CT spine · sagittal view · 390 mm across the image · part of the image is a flat gray fill, not anatomy
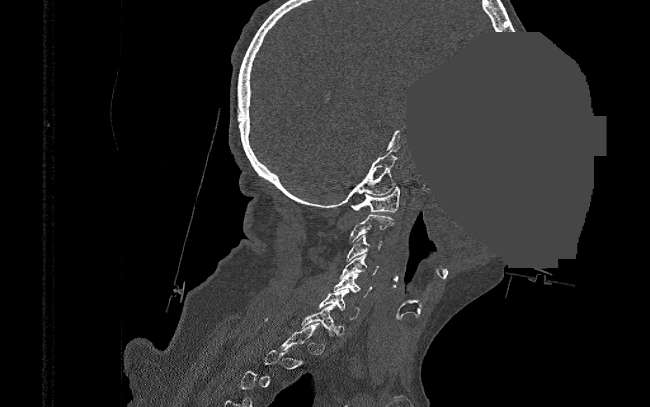 Box edges are left/top/right/bottom in pixels. Each vertebra is boxed only on the slices from the first to the last where its cross-section reaches a third of its largest, so a slice outside that range leaves it unboxed. Vertebrae labeled: C1 at left=350, top=187, right=400, bottom=212, C2 at left=349, top=215, right=394, bottom=241, C3 at left=347, top=235, right=382, bottom=261, C4 at left=340, top=254, right=380, bottom=279, C5 at left=334, top=273, right=372, bottom=297, C6 at left=319, top=288, right=358, bottom=319, C7 at left=301, top=304, right=337, bottom=336.